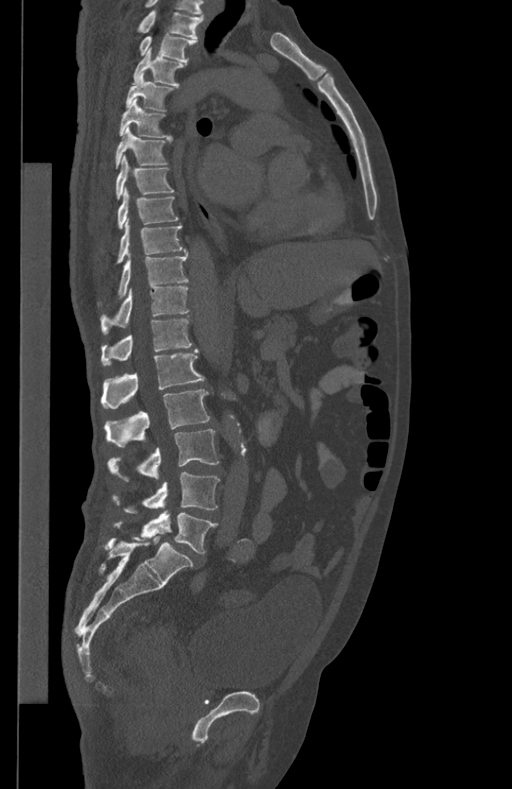 CT spine; sagittal view; W/L 1800/400 HU
Box edges are left/top/right/bottom in pixels.
L5: left=114, top=511, right=217, bottom=553
L4: left=114, top=472, right=220, bottom=512
L3: left=107, top=429, right=218, bottom=480
L2: left=105, top=389, right=210, bottom=447
L1: left=101, top=348, right=204, bottom=408
T12: left=100, top=319, right=191, bottom=365
T11: left=100, top=287, right=189, bottom=335
T10: left=98, top=254, right=188, bottom=304
T9: left=116, top=219, right=186, bottom=264
T8: left=117, top=188, right=178, bottom=228
T7: left=116, top=155, right=174, bottom=200
T6: left=114, top=126, right=169, bottom=169
T5: left=119, top=99, right=172, bottom=140
T4: left=125, top=73, right=174, bottom=110
T3: left=133, top=49, right=186, bottom=86
T2: left=139, top=34, right=196, bottom=62
T1: left=137, top=11, right=204, bottom=40